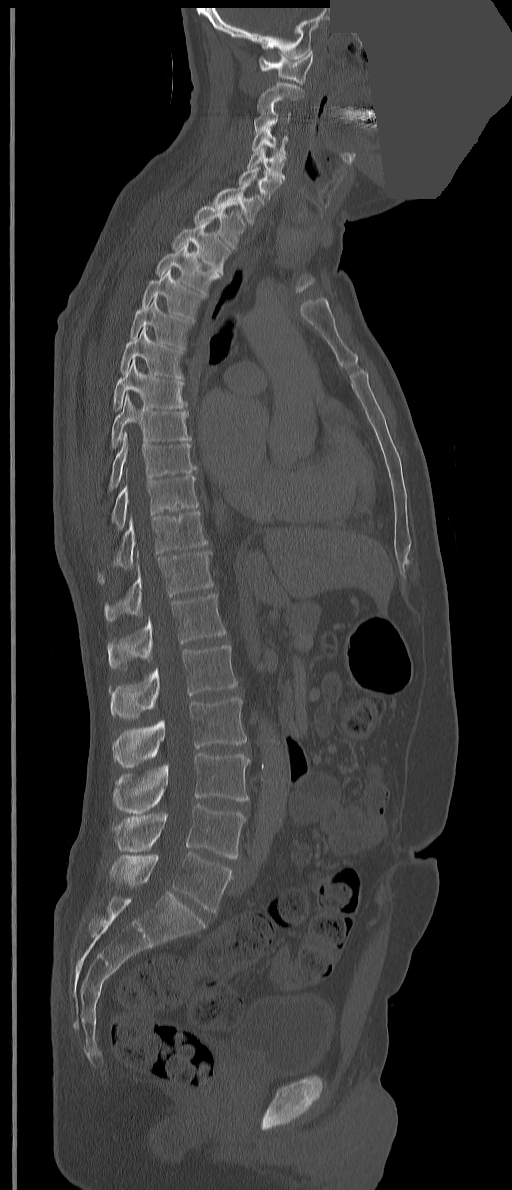 Computed tomography of the spine — 351 mm image width — sagittal view — 512x1190 px — an area of the scan was removed and filled with constant pixels
In these labels the spine has a T13, a thirteenth thoracic vertebra, between T12 and L1.
<vertebrae><v name="C1" x1="259" y1="50" x2="313" y2="84"/><v name="C2" x1="257" y1="82" x2="304" y2="114"/><v name="C3" x1="254" y1="104" x2="291" y2="133"/><v name="C4" x1="251" y1="126" x2="288" y2="154"/><v name="C5" x1="247" y1="147" x2="286" y2="180"/><v name="C6" x1="239" y1="166" x2="282" y2="198"/><v name="C7" x1="213" y1="183" x2="265" y2="224"/><v name="T1" x1="193" y1="202" x2="245" y2="248"/><v name="T2" x1="171" y1="220" x2="231" y2="274"/><v name="T3" x1="155" y1="242" x2="220" y2="296"/><v name="T4" x1="142" y1="268" x2="204" y2="321"/><v name="T5" x1="130" y1="295" x2="193" y2="350"/><v name="T6" x1="120" y1="326" x2="184" y2="380"/><v name="T7" x1="113" y1="358" x2="187" y2="411"/><v name="T8" x1="111" y1="393" x2="191" y2="448"/><v name="T9" x1="108" y1="432" x2="196" y2="491"/><v name="T10" x1="111" y1="476" x2="198" y2="530"/><v name="T11" x1="98" y1="511" x2="208" y2="583"/><v name="T12" x1="104" y1="550" x2="212" y2="622"/><v name="T13" x1="107" y1="594" x2="225" y2="669"/><v name="L1" x1="109" y1="645" x2="237" y2="720"/><v name="L2" x1="113" y1="697" x2="246" y2="768"/><v name="L3" x1="113" y1="753" x2="250" y2="813"/><v name="L4" x1="113" y1="804" x2="246" y2="858"/><v name="L5" x1="110" y1="852" x2="233" y2="912"/></vertebrae>